CT, spine. sagittal view. 18 vertebrae labeled in this scan
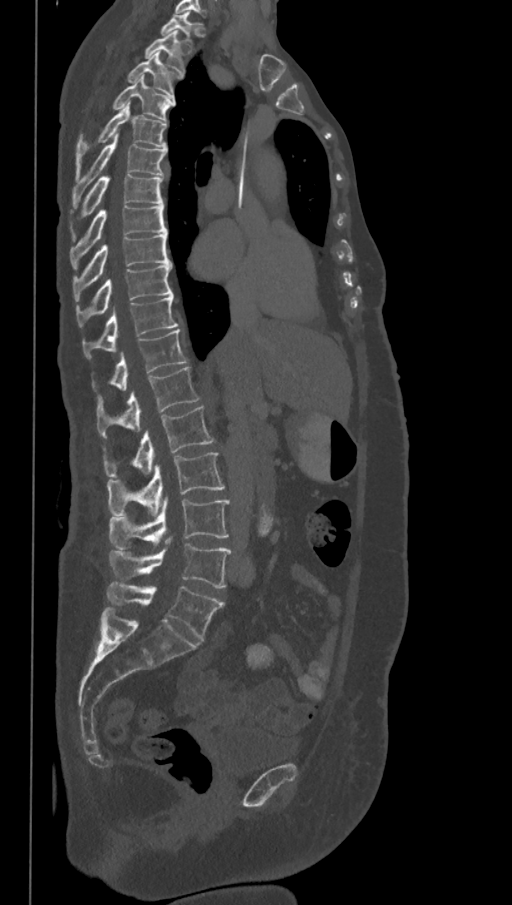
Each box given as x1,y1,x2,y2.
In these labels the spine has an L6, a sixth lumbar vertebra below L5.
| vertebra | x1 | y1 | x2 | y2 |
|---|---|---|---|---|
| L6 | 107 | 581 | 224 | 640 |
| L5 | 110 | 538 | 231 | 588 |
| L4 | 108 | 498 | 231 | 550 |
| L3 | 107 | 452 | 224 | 515 |
| L2 | 103 | 406 | 214 | 477 |
| L1 | 97 | 367 | 199 | 437 |
| T12 | 92 | 329 | 187 | 398 |
| T11 | 82 | 294 | 178 | 357 |
| T10 | 76 | 265 | 173 | 327 |
| T9 | 72 | 233 | 171 | 302 |
| T8 | 69 | 205 | 167 | 268 |
| T7 | 71 | 175 | 163 | 239 |
| T6 | 72 | 135 | 167 | 207 |
| T5 | 76 | 104 | 167 | 174 |
| T4 | 112 | 76 | 175 | 122 |
| T3 | 126 | 53 | 182 | 97 |
| T2 | 144 | 30 | 187 | 73 |
| T1 | 160 | 13 | 199 | 47 |